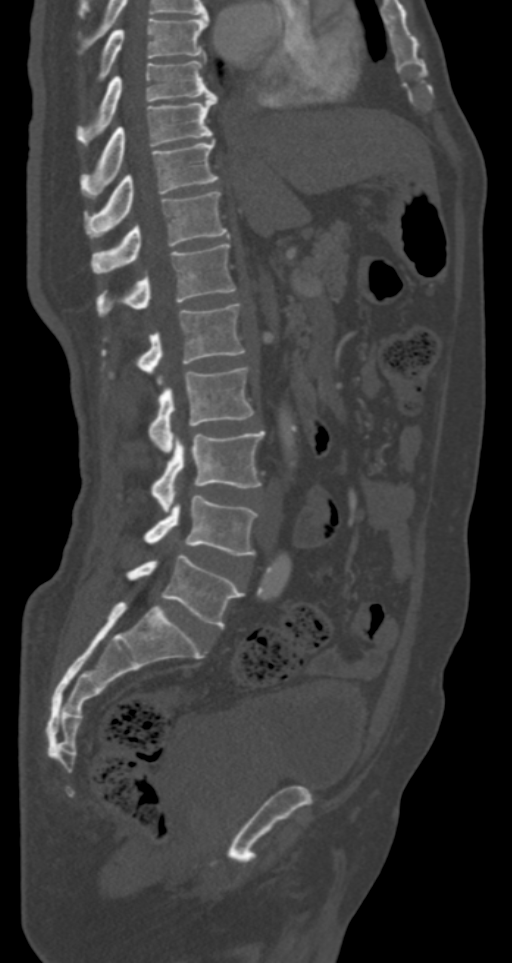

Spine computed tomography; sagittal view; 287 mm across the image; bone window; 512x963 px
Box values are [left, top, right, bottom] in pixels.
{"vertebrae":{"T7":[98,17,207,79],"T8":[76,60,213,145],"T9":[82,94,216,191],"T10":[85,141,218,236],"T11":[91,191,229,274],"T12":[96,244,236,316],"L1":[101,303,245,374],"L2":[148,367,254,452],"L3":[151,431,264,511],"L4":[144,496,257,555],"L5":[126,554,243,627]}}